Spine CT — sagittal reformat — bone-window reconstruction
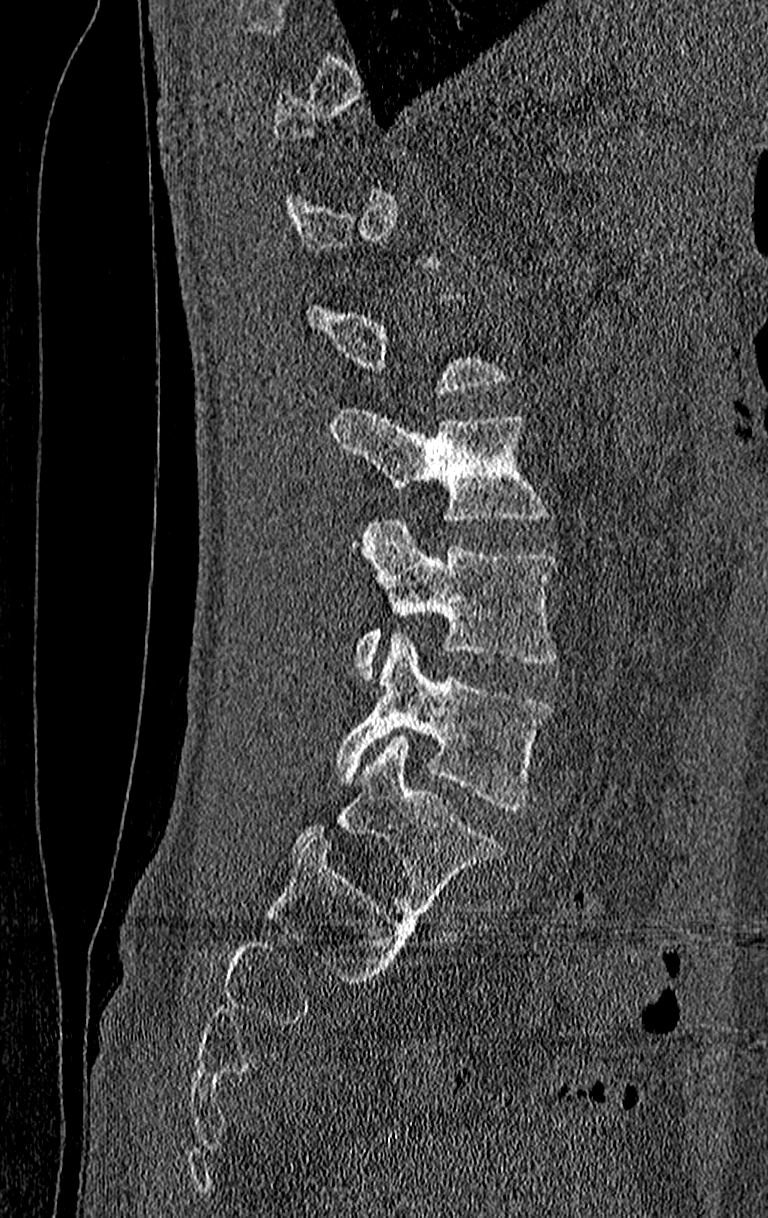
Box edges are left/top/right/bottom in pixels. A vertebra gets a box only on the slices from the first to the last where its cross-section is at least a third of its largest; on a slice outside that range it gets none. In this scan, the topmost labeled vertebra is T11 and the lowest is L4. Vertebrae labeled: L4 at left=335, top=634, right=554, bottom=809, L3 at left=353, top=517, right=557, bottom=680, L2 at left=331, top=406, right=550, bottom=522.